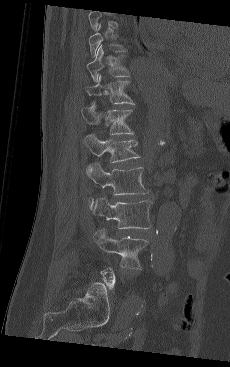 Spine CT. sagittal view. 230 mm across the image. bone window. Coordinates as <box>x1,y1,x2,y2</box>.
Each vertebra is boxed only on the slices from the first to the last where its cross-section reaches a third of its largest, so a slice outside that range leaves it unboxed.
This scan's labels start at T9 at the top and end at L5 at the bottom.
Vertebra bounding boxes:
- T9: <box>88,24,125,55</box>
- T10: <box>86,45,129,81</box>
- T11: <box>86,75,134,106</box>
- T12: <box>82,103,133,134</box>
- L1: <box>84,133,140,170</box>
- L2: <box>86,163,149,205</box>
- L3: <box>92,197,152,229</box>
- L4: <box>94,229,148,269</box>